Spine computed tomography — sagittal view — 162x216 px
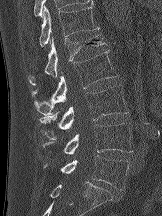
Boxes: x1:y1:x2:y2 in pixels.
T12: 39:5:99:46
L1: 28:35:107:85
L2: 31:50:118:115
L3: 39:85:128:139
L4: 42:123:132:154
L5: 44:155:129:190